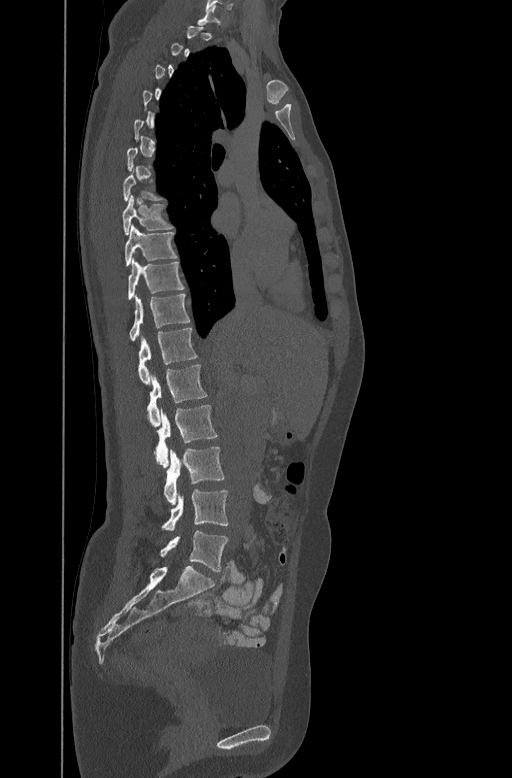
CT, spine; sagittal view
Coordinates as <box>x1,y1,x2,y2</box>. Each vertebra is boxed only on the slices from the first to the last where its cross-section reaches a third of its largest, so a slice outside that range leaves it unboxed. The labeled vertebrae in this slice are: T8 at <box>122,193,173,233</box>, T9 at <box>125,224,176,266</box>, T10 at <box>128,259,183,299</box>, T11 at <box>129,293,190,340</box>, T12 at <box>137,326,197,382</box>, L1 at <box>147,364,206,426</box>, L2 at <box>155,405,218,467</box>, L3 at <box>164,446,225,505</box>, L4 at <box>161,490,228,530</box>, L5 at <box>160,531,228,571</box>.